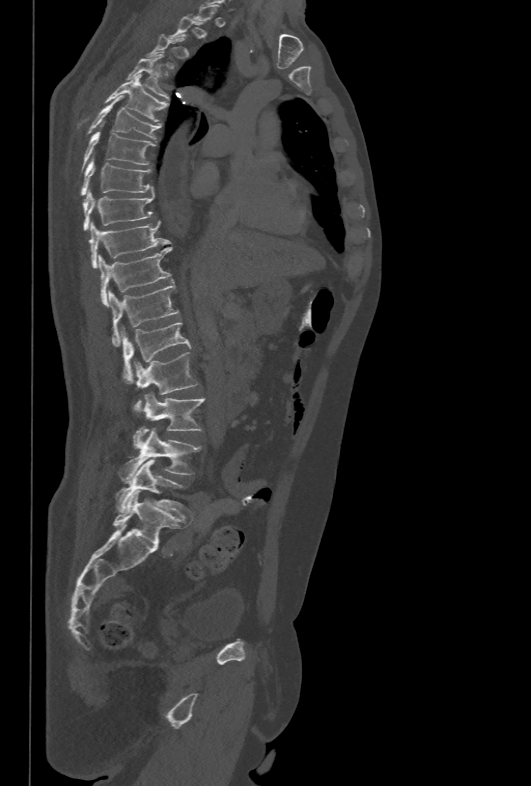 CT, spine · image 478 mm wide · sagittal view · bone-window reconstruction

Boxes are (x1, y1, x2, y2) in pixels.
A vertebra gets a box only on the slices from the first to the last where its cross-section is at least a third of its largest; on a slice outside that range it gets none.
Vertebra bounding boxes:
- T4: (127, 54, 169, 101)
- T5: (78, 74, 168, 126)
- T6: (87, 96, 160, 138)
- T7: (82, 132, 155, 167)
- T8: (80, 158, 154, 195)
- T9: (83, 189, 154, 231)
- T10: (89, 220, 169, 268)
- T11: (99, 247, 171, 306)
- T12: (108, 283, 178, 346)
- L1: (121, 322, 191, 383)
- L2: (133, 352, 198, 413)
- L3: (140, 393, 204, 438)
- L4: (119, 426, 201, 481)
- L5: (115, 460, 186, 514)